Computed tomography of the spine · sagittal plane, index 65 · W/L 1800/400 HU · image 419 mm wide
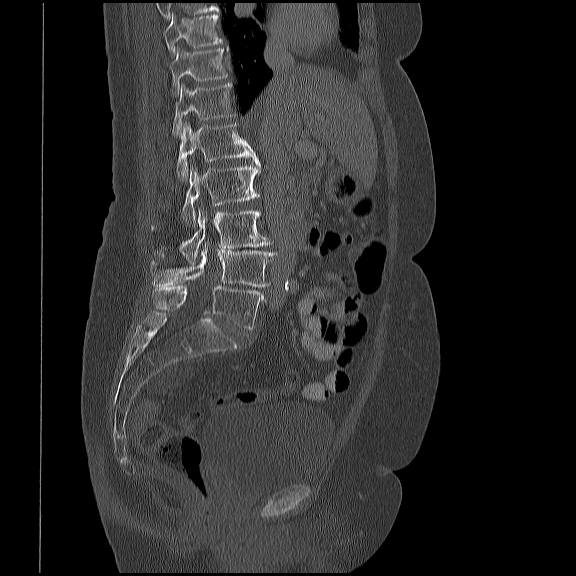
Each box given as x1,y1,x2,y2. The highest labeled vertebra in this scan is T10; the lowest is L5. Vertebrae labeled: T10 at x1=163, y1=14, x2=222, y2=52, T11 at x1=170, y1=46, x2=229, y2=94, T12 at x1=172, y1=83, x2=233, y2=137, L1 at x1=176, y1=123, x2=258, y2=181, L2 at x1=182, y1=165, x2=259, y2=224, L3 at x1=152, y1=205, x2=273, y2=263, L4 at x1=150, y1=242, x2=283, y2=287, L5 at x1=152, y1=285, x2=265, y2=329.